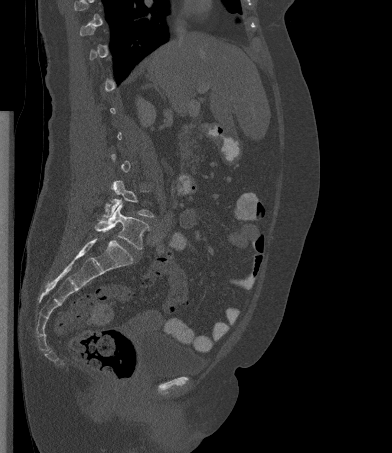

Spine CT · sagittal view

Each row gives a vertebra's box as x1, y1, x2, y2 in pixels: top-left corner, then bottom-right corner.
Each vertebra is boxed only on the slices from the first to the last where its cross-section reaches a third of its largest, so a slice outside that range leaves it unboxed.
| vertebra | x1 | y1 | x2 | y2 |
|---|---|---|---|---|
| L5 | 95 | 204 | 148 | 249 |
| L4 | 103 | 180 | 154 | 217 |